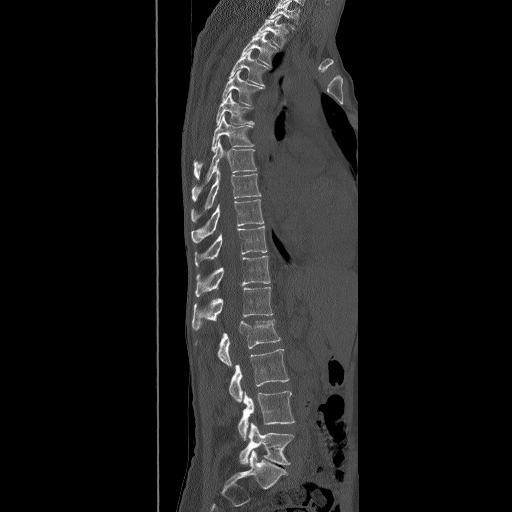 CT — sagittal view — 490 mm wide — bone window
Each box given as x1,y1,x2,y2. This scan's labels start at T2 at the top and end at L5 at the bottom. The labeled vertebrae in this slice are: L5 at x1=239, y1=423, x2=294, y2=465, L4 at x1=238, y1=390, x2=295, y2=440, L3 at x1=228, y1=349, x2=289, y2=402, L2 at x1=195, y1=319, x2=280, y2=366, L1 at x1=192, y1=287, x2=273, y2=330, T12 at x1=195, y1=255, x2=270, y2=297, T11 at x1=195, y1=225, x2=267, y2=266, T10 at x1=191, y1=199, x2=264, y2=242, T9 at x1=190, y1=168, x2=260, y2=222, T8 at x1=192, y1=140, x2=257, y2=201, T7 at x1=192, y1=114, x2=254, y2=179, T6 at x1=216, y1=91, x2=254, y2=125, T5 at x1=221, y1=70, x2=263, y2=105, T4 at x1=229, y1=50, x2=270, y2=87, T3 at x1=242, y1=32, x2=278, y2=67, T2 at x1=253, y1=15, x2=288, y2=48.